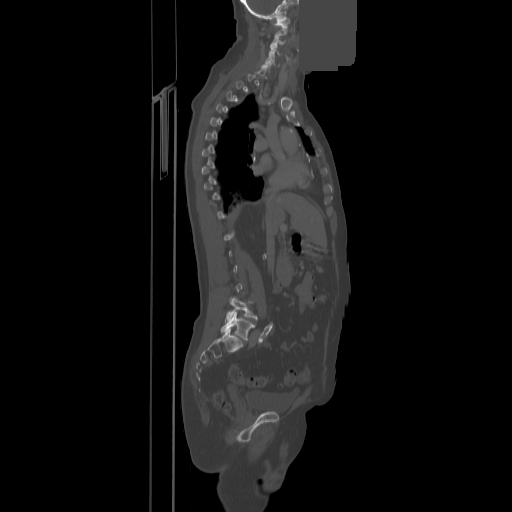

Spine computed tomography · sagittal view · Bone window (WL 400, WW 1800) · some of the image was removed or blocked out with constant pixels
Box edges are left/top/right/bottom in pixels.
Each vertebra is boxed only on the slices from the first to the last where its cross-section reaches a third of its largest, so a slice outside that range leaves it unboxed.
| vertebra | x1 | y1 | x2 | y2 |
|---|---|---|---|---|
| C1 | 274 | 17 | 289 | 27 |
| C3 | 270 | 34 | 284 | 46 |
| C4 | 269 | 44 | 279 | 55 |
| C5 | 266 | 53 | 274 | 64 |
| L4 | 225 | 297 | 257 | 322 |
| L5 | 220 | 311 | 254 | 339 |